CT; 399 mm across the image; sagittal reformat; Bone window (WL 400, WW 1800)
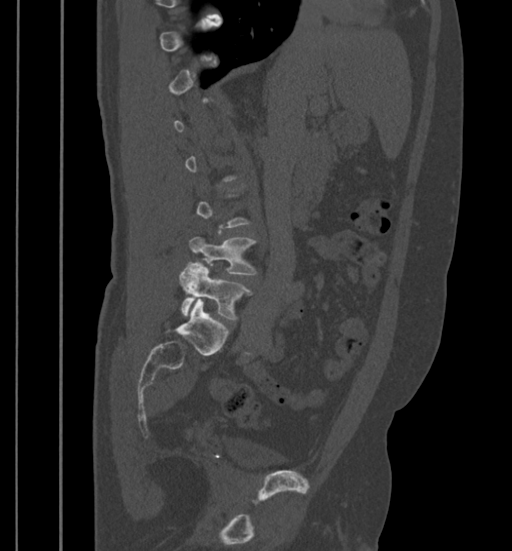
Boxes: x1:y1:x2:y2 in pixels.
Each vertebra is boxed only on the slices from the first to the last where its cross-section reaches a third of its largest, so a slice outside that range leaves it unboxed.
L4: 190:237:255:274
L5: 178:262:252:319